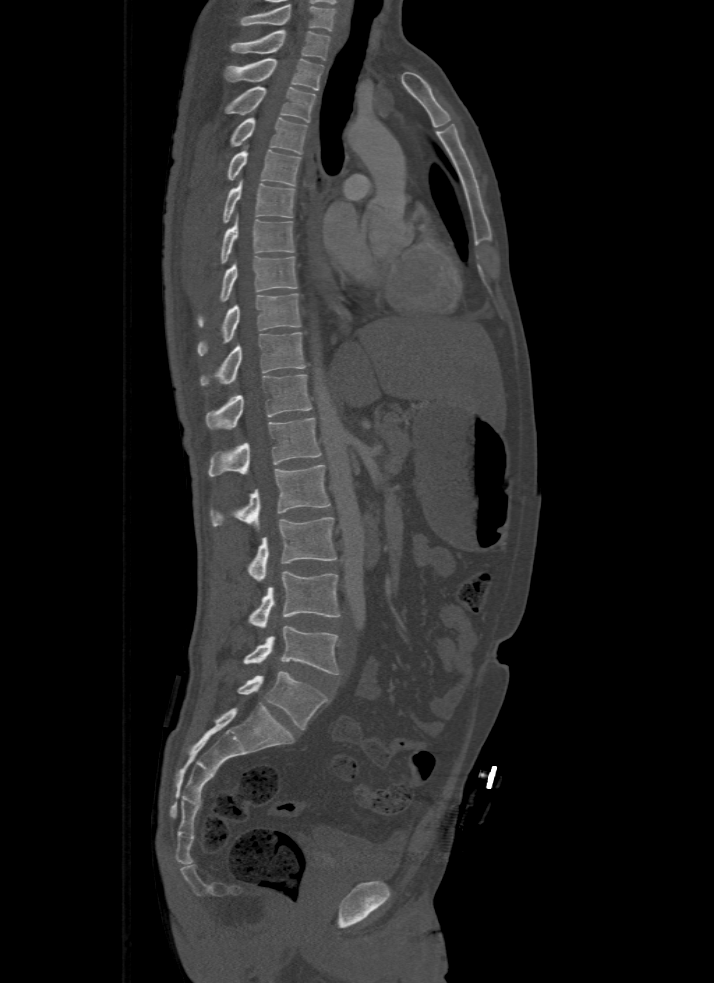 CT, spine — the image spans 500 mm across — sagittal view — bone-window reconstruction — 714x983 px
Each box is [x1, y1, x2, y2] in pixels: top-left corner, then bottom-right corner.
The highest labeled vertebra in this scan is T1; the lowest is L5.
{"vertebrae":{"T1":[230,30,331,59],"T2":[225,58,323,91],"T3":[225,86,314,122],"T4":[230,118,307,154],"T5":[227,147,302,185],"T6":[223,179,295,222],"T7":[220,215,293,262],"T8":[198,256,296,325],"T9":[197,293,300,355],"T10":[199,332,306,385],"T11":[205,375,311,429],"T12":[208,418,320,477],"L1":[211,465,331,527],"L2":[247,518,337,581],"L3":[248,570,341,627],"L4":[243,626,339,674],"L5":[237,672,328,729]}}